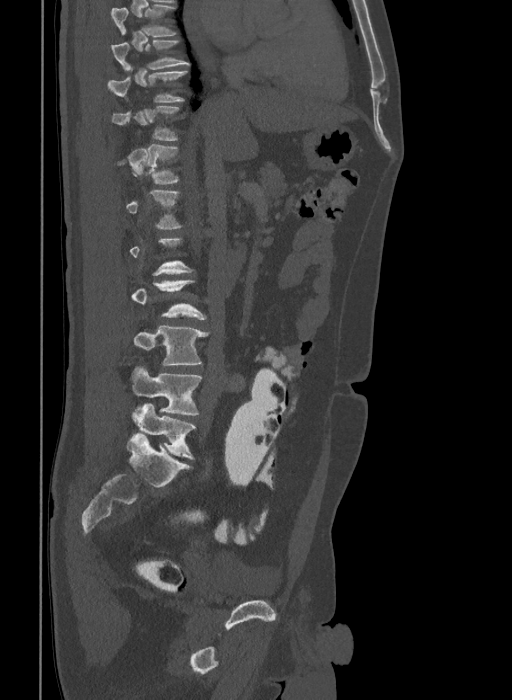

Spine computed tomography — sagittal view — image width 409 mm — bone window — 512x700 px

Boxes: x1 y1 x2 y2 (pixel coords, space-separated).
A vertebra gets a box only on the slices from the first to the last where its cross-section is at least a third of its largest; on a slice outside that range it gets none.
In this scan, the topmost labeled vertebra is T9 and the lowest is L6.
In these labels the spine has an L6, a sixth lumbar vertebra below L5.
Vertebra bounding boxes:
- T9: 111 41 189 71
- T10: 108 69 187 102
- T11: 111 106 179 140
- T12: 115 144 179 183
- L1: 126 190 183 229
- L4: 134 326 210 365
- L5: 131 365 202 415
- L6: 132 403 195 459